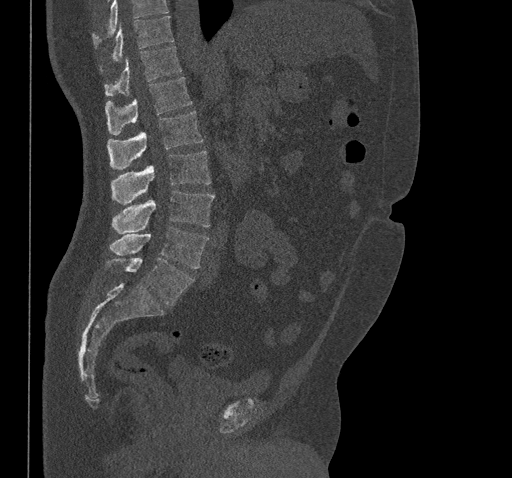

Computed tomography of the spine; sagittal view; Bone window (WL 400, WW 1800); 512x478 px
Box edges are left/top/right/bottom in pixels.
A vertebra cut off by the top edge of the scan is not labeled and has no box.
| vertebra | x1 | y1 | x2 | y2 |
|---|---|---|---|---|
| T10 | 99 | 16 | 173 | 73 |
| T11 | 105 | 46 | 182 | 96 |
| T12 | 105 | 77 | 192 | 135 |
| L1 | 107 | 111 | 203 | 168 |
| L2 | 111 | 150 | 210 | 204 |
| L3 | 112 | 191 | 214 | 234 |
| L4 | 110 | 227 | 208 | 268 |
| L5 | 109 | 257 | 193 | 305 |